Computed tomography of the spine. sagittal view. 385 mm across the image
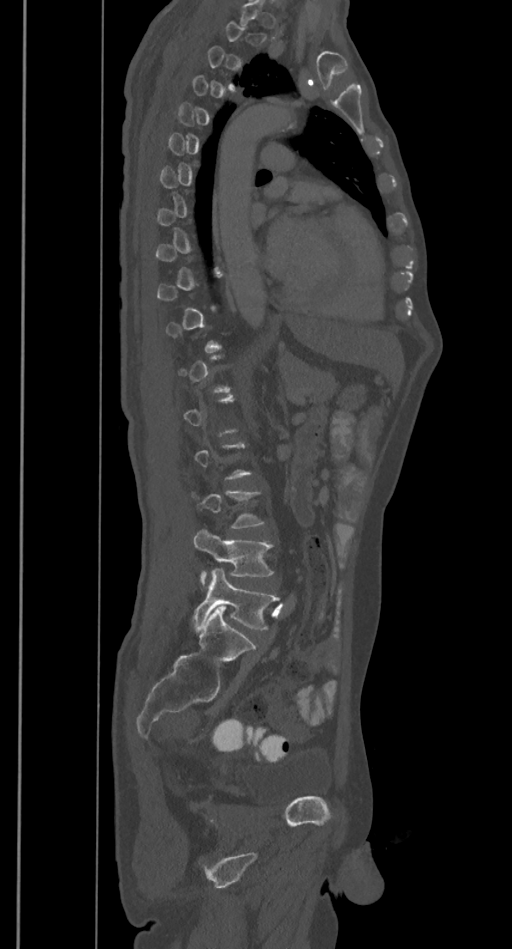

Each vertebra is boxed only on the slices from the first to the last where its cross-section reaches a third of its largest, so a slice outside that range leaves it unboxed.
<vertebrae><v name="L4" x1="193" y1="529" x2="273" y2="584"/><v name="L5" x1="193" y1="569" x2="279" y2="629"/></vertebrae>